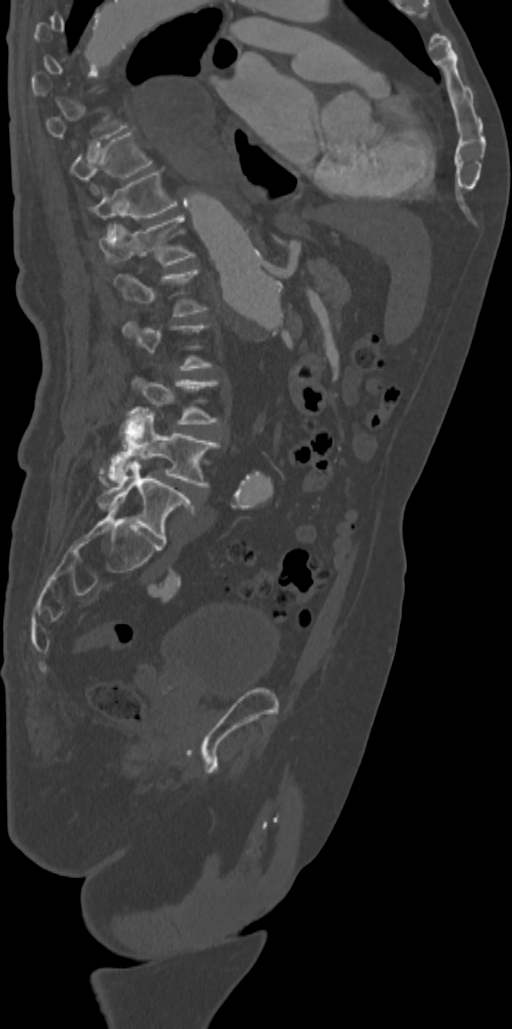 CT spine — sagittal view — W/L 1800/400 HU
Boxes are (x1, y1, x2, y2) in pixels. Not every vertebra on this slice has a box: a vertebra is boxed only from the first to the last slice where its cross-section is at least a third of its largest, and this slice is outside that range for at least one of them. 6 vertebrae labeled — T10 at (70, 130, 152, 179); T11 at (90, 171, 177, 230); T12 at (100, 216, 193, 264); L1 at (114, 270, 205, 316); L4 at (99, 409, 219, 486); L5 at (97, 461, 195, 543).